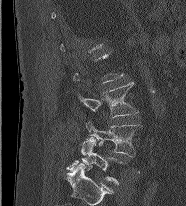

CT spine · sagittal reformat · Bone window (WL 400, WW 1800)
Boxes: x1:y1:x2:y2 in pixels. A vertebra is boxed only from the first to the last slice where its cross-section is at least a third of its largest; slices outside that range leave it without a box. Vertebrae labeled: L3 at 79:82:138:117, L4 at 86:121:143:157, L5 at 67:137:123:184.